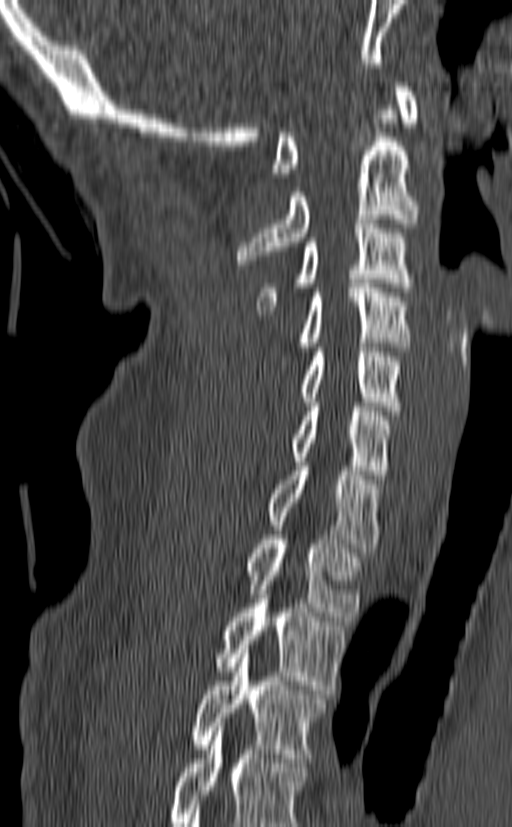
CT — sagittal view — the image is 140 mm wide — 512x827 px. Each box given as x1,y1,x2,y2.
This scan's labels start at C1 at the top and end at T3 at the bottom.
| vertebra | x1 | y1 | x2 | y2 |
|---|---|---|---|---|
| T3 | 192 | 645 | 326 | 762 |
| T2 | 213 | 594 | 348 | 694 |
| T1 | 246 | 535 | 362 | 621 |
| C7 | 268 | 462 | 381 | 552 |
| C6 | 290 | 402 | 392 | 479 |
| C5 | 298 | 347 | 403 | 415 |
| C4 | 294 | 279 | 410 | 351 |
| C3 | 257 | 219 | 413 | 314 |
| C2 | 236 | 110 | 419 | 264 |
| C1 | 271 | 82 | 419 | 177 |